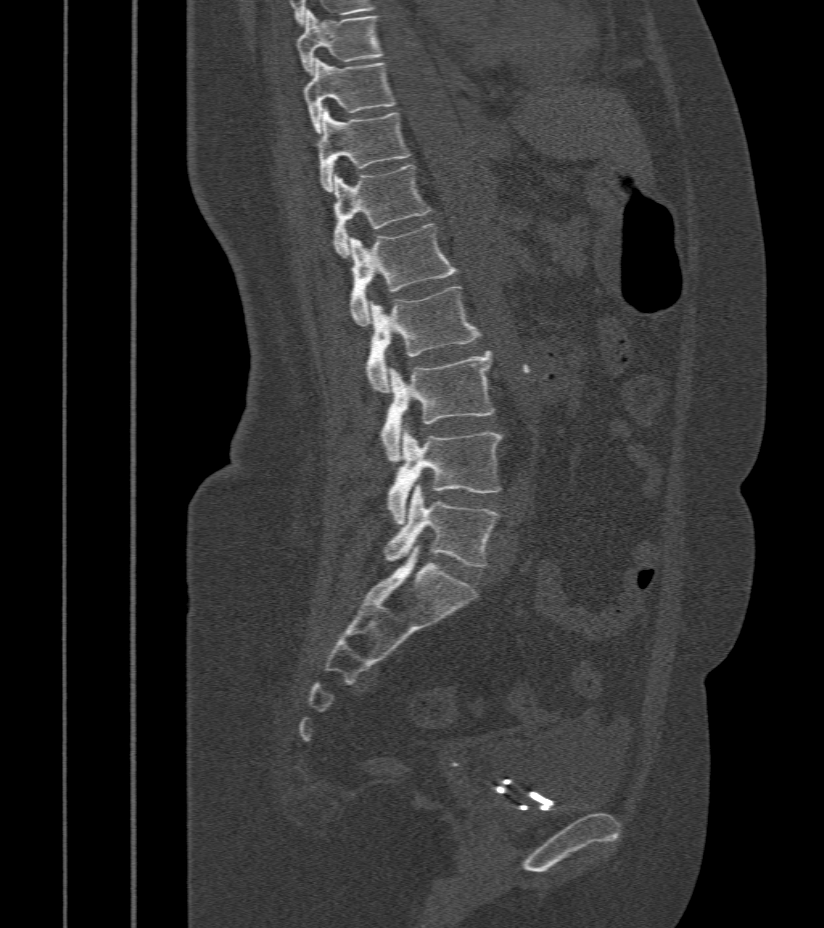
Spine computed tomography · sagittal reformat · Bone window (WL 400, WW 1800)
Boxes: x1:y1:x2:y2 in pixels.
Vertebra bounding boxes:
- T9: 296:11:380:74
- T10: 303:59:395:132
- T11: 315:107:409:191
- T12: 332:165:430:256
- L1: 348:225:459:326
- L2: 365:287:480:392
- L3: 380:351:495:462
- L4: 386:425:501:524
- L5: 383:485:500:566